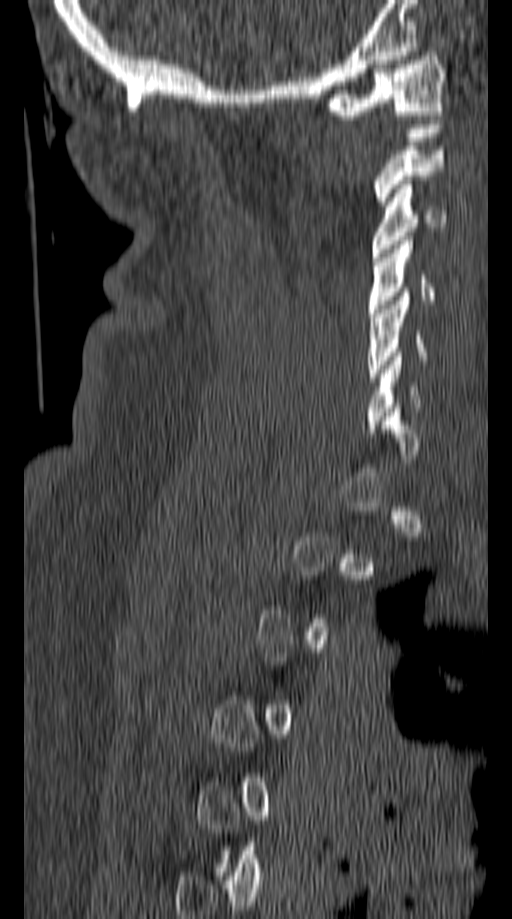

CT spine. sagittal view. 512x919 px. image 149 mm wide
Coordinates as <box>x1,y1,x2,y2</box>.
A vertebra is boxed only from the first to the last slice where its cross-section is at least a third of its largest; slices outside that range leave it without a box.
C5: <box>367,292,426,381</box>
C4: <box>369,236,434,317</box>
C3: <box>372,180,447,257</box>
C1: <box>322,52,447,119</box>